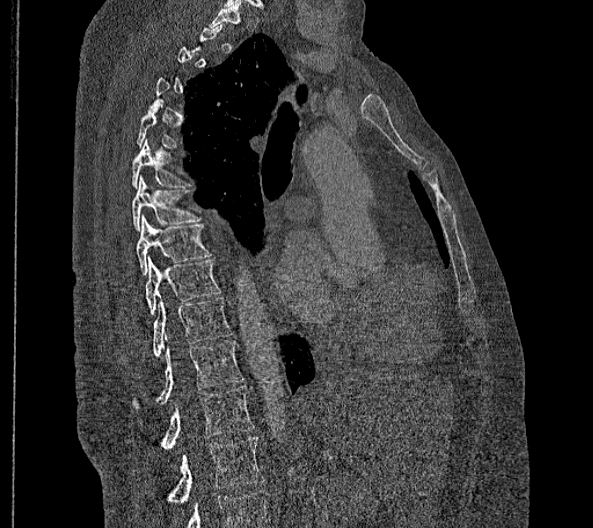 Computed tomography of the spine; sagittal reformat; 593x528 px

Columns x1, y1, x2, y2 give each box's top-left and bottom-right pixels.
Not every vertebra on this slice has a box: a vertebra is boxed only from the first to the last slice where its cross-section is at least a third of its largest, and this slice is outside that range for at least one of them.
The highest labeled vertebra in this scan is T2; the lowest is L2.
In these labels the spine has no T12: the thoracic vertebrae end at T11, and L1 comes next.
| vertebra | x1 | y1 | x2 | y2 |
|---|---|---|---|---|
| T6 | 131 | 139 | 189 | 189 |
| T7 | 131 | 174 | 201 | 231 |
| T8 | 137 | 215 | 210 | 275 |
| T9 | 145 | 256 | 220 | 314 |
| T10 | 153 | 297 | 232 | 356 |
| T11 | 131 | 340 | 244 | 409 |
| L1 | 161 | 385 | 254 | 449 |
| L2 | 168 | 437 | 263 | 504 |